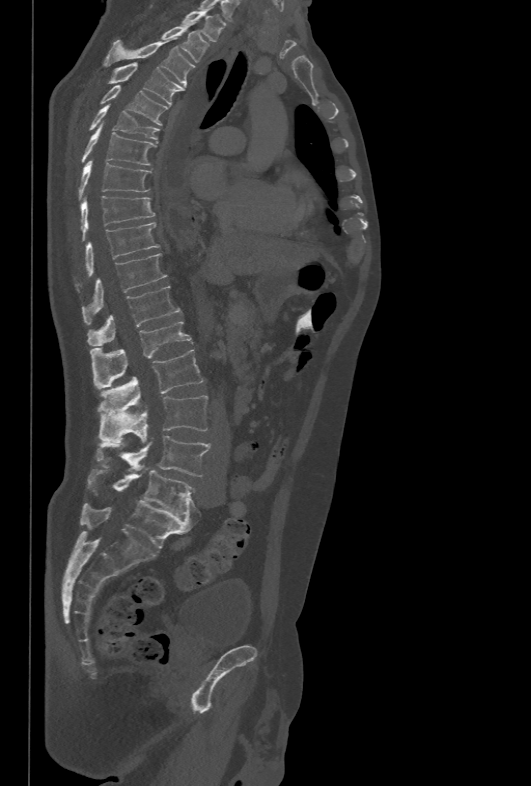

CT spine. sagittal reformat. bone-window reconstruction
Each box is [x1, y1, x2, y2] in pixels: top-left corner, then bottom-right corner.
{"vertebrae":{"T1":[182,10,223,42],"T2":[161,25,209,62],"T3":[104,36,194,86],"T4":[108,63,185,105],"T5":[101,85,168,124],"T6":[89,104,159,139],"T7":[81,123,156,165],"T8":[79,159,151,199],"T9":[80,196,155,237],"T10":[84,223,160,276],"T11":[82,254,167,322],"T12":[88,286,182,345],"L1":[90,320,192,388],"L2":[99,349,203,415],"L3":[98,395,208,442],"L4":[98,436,210,476],"L5":[88,469,194,515]}}